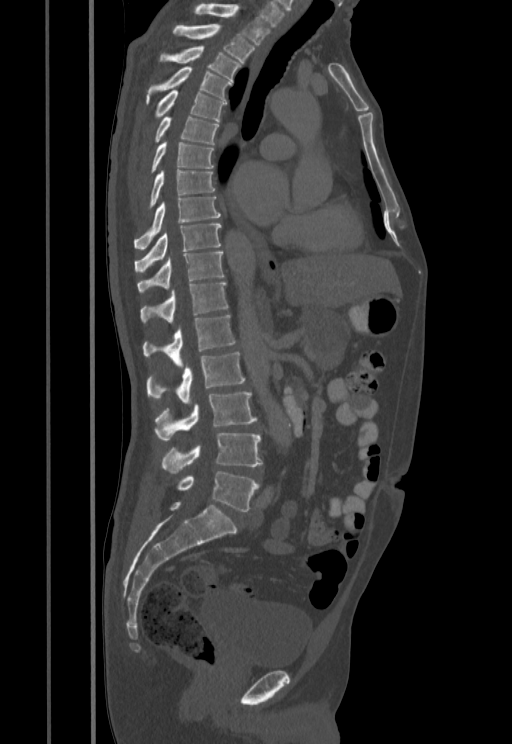 CT, spine; sagittal view; Bone window (WL 400, WW 1800); 512x744 px. Bounding boxes as [x1, y1, x2, y2] in pixel coordinates.
L5: [177, 471, 259, 511]
L4: [162, 433, 262, 473]
L3: [154, 392, 257, 441]
L2: [146, 352, 244, 403]
L1: [143, 314, 235, 366]
T12: [141, 281, 228, 323]
T11: [137, 252, 224, 293]
T10: [135, 224, 221, 273]
T9: [134, 196, 221, 249]
T8: [148, 170, 214, 209]
T7: [151, 142, 214, 172]
T6: [154, 117, 218, 144]
T5: [154, 90, 226, 121]
T4: [146, 66, 232, 103]
T3: [160, 46, 241, 79]
T2: [173, 24, 254, 62]
T1: [193, 3, 270, 44]